CT, spine; sagittal view
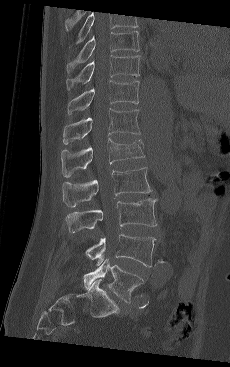 Each box given as x1,y1,x2,y2.
In this scan, the topmost labeled vertebra is T9 and the lowest is L5.
| vertebra | x1 | y1 | x2 | y2 |
|---|---|---|---|---|
| T9 | 66 | 31 | 139 | 73 |
| T10 | 66 | 55 | 140 | 90 |
| T11 | 67 | 80 | 139 | 114 |
| T12 | 63 | 108 | 140 | 145 |
| L1 | 61 | 138 | 144 | 177 |
| L2 | 62 | 167 | 151 | 207 |
| L3 | 65 | 198 | 157 | 232 |
| L4 | 85 | 234 | 155 | 267 |
| L5 | 83 | 258 | 144 | 302 |